Computed tomography of the spine. Sagittal slice 230/512. 512x700 px. 10 vertebrae labeled in this scan
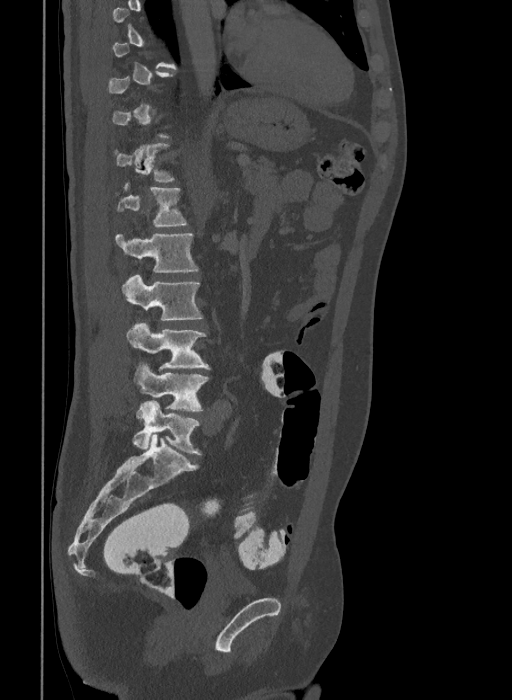 Coordinates as <box>x1,y1,x2,y2</box>.
A vertebra gets a box only on the slices from the first to the last where its cross-section is at least a third of its largest; on a slice outside that range it gets none.
In these labels the spine has an L6, a sixth lumbar vertebra below L5.
L6: <box>132,400,202,454</box>
L5: <box>133,363,209,411</box>
L4: <box>126,322,209,370</box>
L3: <box>121,275,203,321</box>
L2: <box>115,233,199,272</box>
L1: <box>115,183,188,227</box>
T12: <box>114,143,175,182</box>